CT spine · sagittal reformat · W/L 1800/400 HU · part of the scan has been removed (filled with constant black)
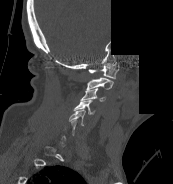
Each box is [x1, y1, x2, y2] in pixels: top-left corner, then bottom-right corner.
A vertebra is boxed only from the first to the last slice where its cross-section is at least a third of its largest; slices outside that range leave it without a box.
{"vertebrae":{"C5":[68,110,85,126],"C4":[73,99,95,114],"C3":[81,87,105,101],"C2":[87,77,113,89],"C1":[88,62,119,78]}}